Spine CT; 281 mm image width; Sagittal slice 168/281; bone window; an area of the scan was removed and filled with constant pixels
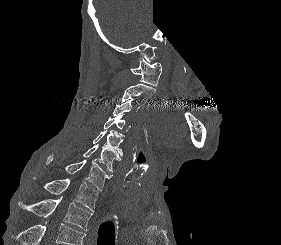

Boxes below are [x1, y1, x2, y2] in pixels.
Vertebrae that run past the bottom of the scan are left unlabeled.
{"vertebrae":{"T2":[18,196,92,230],"T1":[34,177,98,211],"C7":[46,154,112,192],"C6":[83,143,120,172],"C5":[93,130,124,156],"C4":[103,114,130,131],"C3":[113,98,139,115],"C2":[122,84,156,101],"C1":[130,57,162,87]}}